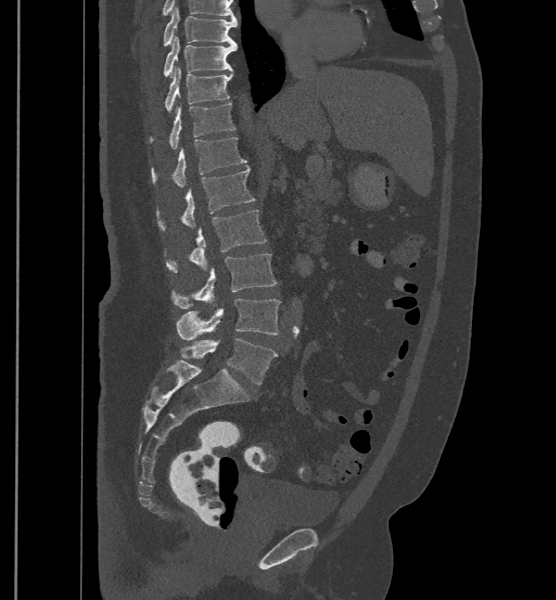
CT spine. sagittal reformat
In these labels the spine has an L6, a sixth lumbar vertebra below L5.
<vertebrae><v name="T9" x1="163" y1="6" x2="237" y2="46"/><v name="T10" x1="164" y1="36" x2="237" y2="76"/><v name="T11" x1="166" y1="67" x2="233" y2="111"/><v name="T12" x1="169" y1="96" x2="234" y2="149"/><v name="L1" x1="151" y1="137" x2="245" y2="188"/><v name="L2" x1="182" y1="168" x2="255" y2="228"/><v name="L3" x1="168" y1="210" x2="266" y2="272"/><v name="L4" x1="173" y1="253" x2="277" y2="308"/><v name="L5" x1="177" y1="298" x2="280" y2="340"/><v name="L6" x1="180" y1="338" x2="277" y2="385"/></vertebrae>